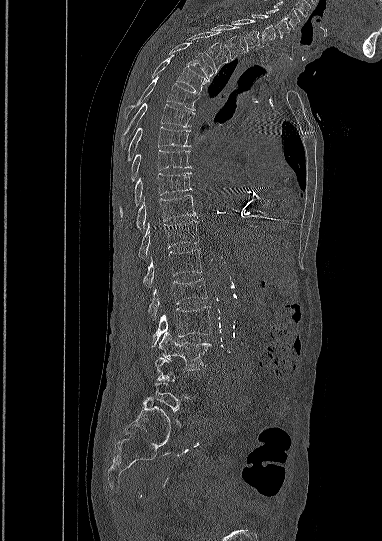
CT, spine — sagittal view — Bone window (WL 400, WW 1800) — 382x541 px
Not every vertebra on this slice has a box: a vertebra is boxed only from the first to the last slice where its cross-section is at least a third of its largest, and this slice is outside that range for at least one of them.
<vertebrae><v name="C5" x1="266" y1="9" x2="290" y2="39"/><v name="C6" x1="251" y1="15" x2="276" y2="46"/><v name="C7" x1="233" y1="18" x2="259" y2="51"/><v name="T1" x1="211" y1="25" x2="244" y2="59"/><v name="T2" x1="187" y1="31" x2="228" y2="71"/><v name="T3" x1="169" y1="43" x2="214" y2="81"/><v name="T4" x1="152" y1="55" x2="207" y2="91"/><v name="T5" x1="124" y1="77" x2="199" y2="114"/><v name="T6" x1="121" y1="103" x2="194" y2="149"/><v name="T7" x1="127" y1="127" x2="190" y2="161"/><v name="T8" x1="130" y1="150" x2="190" y2="181"/><v name="T9" x1="119" y1="172" x2="191" y2="217"/><v name="T10" x1="136" y1="195" x2="196" y2="230"/><v name="T11" x1="138" y1="220" x2="198" y2="258"/><v name="T12" x1="143" y1="250" x2="202" y2="286"/><v name="L1" x1="148" y1="279" x2="207" y2="320"/><v name="L2" x1="152" y1="306" x2="211" y2="346"/><v name="L3" x1="159" y1="332" x2="210" y2="369"/></vertebrae>